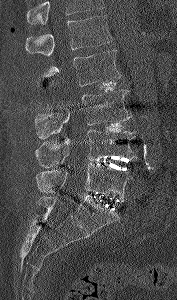 Computed tomography of the spine — sagittal view — 177x300 px
Boxes: x1:y1:x2:y2 in pixels.
Where the top of the scan cuts through a vertebra, that vertebra gets no label or box.
Vertebra bounding boxes:
- L1: 25:15:113:56
- L2: 42:50:121:86
- L3: 34:89:132:138
- L4: 35:130:137:167
- L5: 36:163:132:199